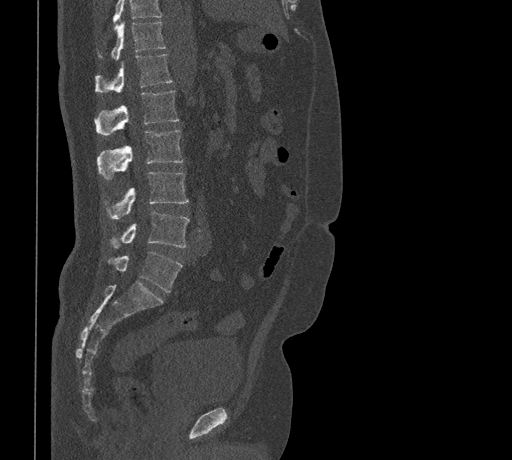
CT. sagittal view. W/L 1800/400 HU. 512x460 px. the image spans 461 mm across
Box edges are left/top/right/bottom in pixels.
Vertebrae that run past the top of the scan are left unlabeled.
Vertebra bounding boxes:
- L5: left=109, top=251, right=182, bottom=291
- L4: left=113, top=211, right=189, bottom=247
- L3: left=109, top=171, right=188, bottom=219
- L2: left=96, top=130, right=183, bottom=179
- L1: left=94, top=90, right=179, bottom=135
- T12: left=94, top=55, right=172, bottom=92
- T11: left=96, top=21, right=165, bottom=59